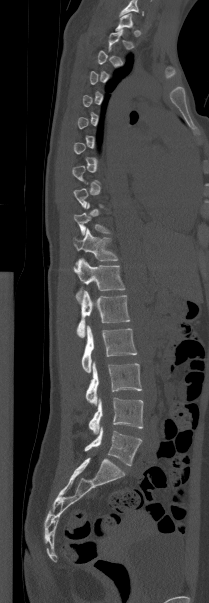 Computed tomography of the spine — sagittal reformat — bone-window reconstruction — 209x603 px

Coordinates as <box>x1,y1,x2,y2</box>. A vertebra is boxed only from the first to the last slice where its cross-section is at least a third of its largest; slices outside that range leave it without a box. The labeled vertebrae in this slice are: T10 at <box>74,203,110,235</box>, T11 at <box>73,228,118,264</box>, T12 at <box>73,258,125,291</box>, L1 at <box>77,290,130,337</box>, L2 at <box>81,325,137,372</box>, L3 at <box>85,361,141,405</box>, L4 at <box>88,397,143,434</box>, L5 at <box>84,427,141,465</box>.